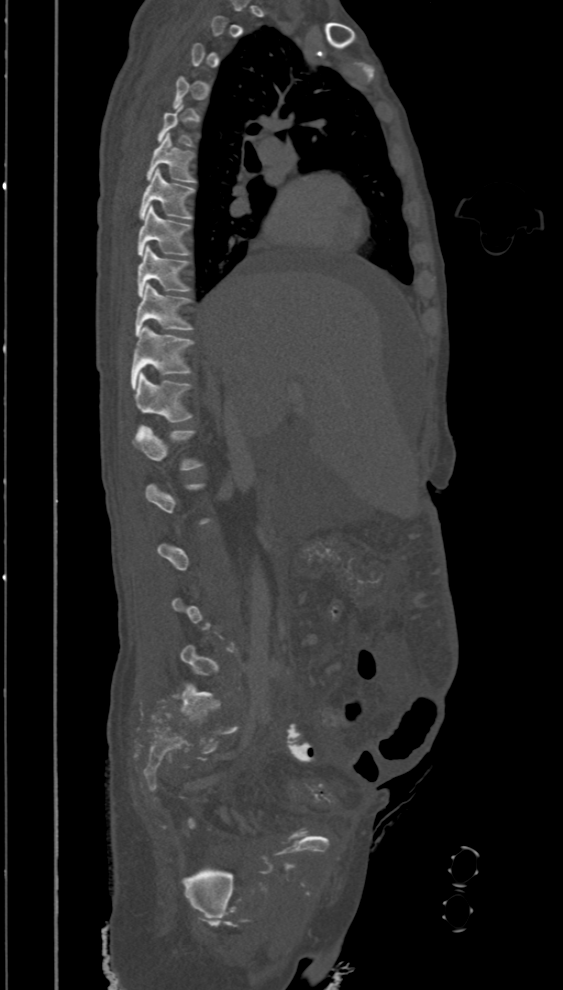 CT — sagittal reformat — bone window — 563x990 px
Boxes are given in columns x1, y1, x2, y2, the pixel coordinates of their top-left and bottom-right corners.
A vertebra gets a box only on the slices from the first to the last where its cross-section is at least a third of its largest; on a slice outside that range it gets none.
| vertebra | x1 | y1 | x2 | y2 |
|---|---|---|---|---|
| L1 | 133 | 425 | 203 | 471 |
| T12 | 134 | 372 | 192 | 422 |
| T11 | 131 | 326 | 195 | 389 |
| T10 | 134 | 283 | 194 | 336 |
| T9 | 137 | 246 | 190 | 296 |
| T8 | 137 | 206 | 191 | 256 |
| T7 | 139 | 169 | 195 | 219 |
| T6 | 145 | 133 | 196 | 182 |